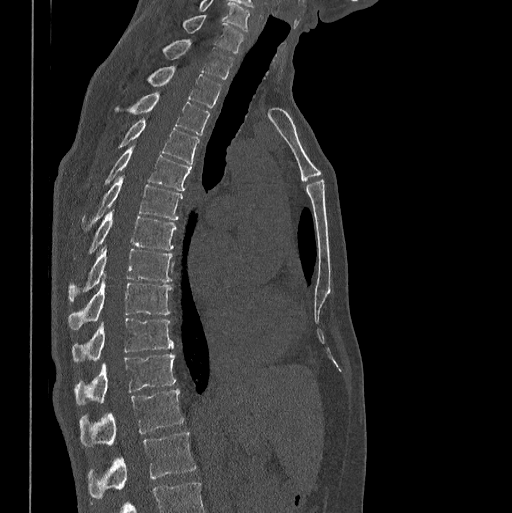
CT. sagittal view

Box edges are left/top/right/bottom in pixels.
Labels in this scan begin with C7 at the top and end with L1 at the bottom.
| vertebra | x1 | y1 | x2 | y2 |
|---|---|---|---|---|
| C7 | 183 | 15 | 243 | 52 |
| T1 | 162 | 39 | 233 | 80 |
| T2 | 147 | 66 | 220 | 107 |
| T3 | 114 | 93 | 210 | 134 |
| T4 | 118 | 118 | 198 | 165 |
| T5 | 104 | 147 | 191 | 190 |
| T6 | 82 | 176 | 182 | 231 |
| T7 | 87 | 211 | 176 | 254 |
| T8 | 68 | 247 | 173 | 301 |
| T9 | 68 | 278 | 171 | 329 |
| T10 | 72 | 318 | 173 | 363 |
| T11 | 74 | 354 | 175 | 404 |
| T12 | 80 | 388 | 183 | 446 |
| L1 | 87 | 432 | 196 | 499 |